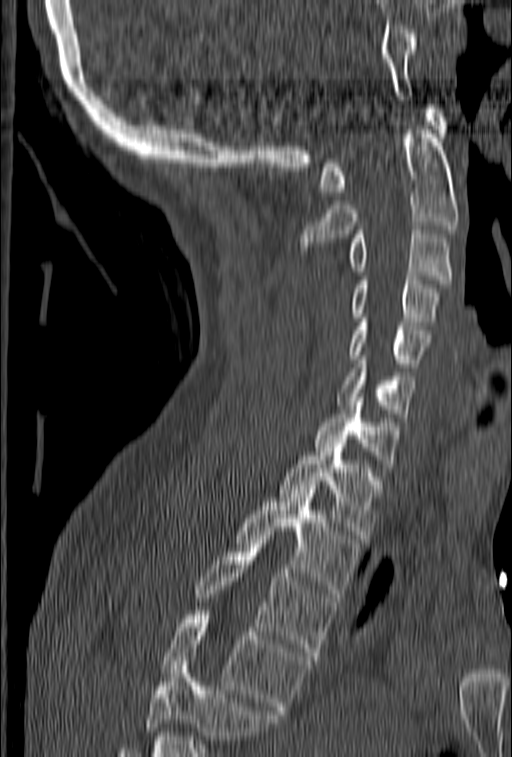
Spine CT · sagittal reformat · the image is 153 mm wide
No box is given to a vertebra that the bottom edge of the scan cuts off.
<vertebrae><v name="C1" x1="319" y1="105" x2="447" y2="196"/><v name="C2" x1="300" y1="125" x2="459" y2="246"/><v name="C3" x1="349" y1="226" x2="452" y2="283"/><v name="C4" x1="349" y1="276" x2="439" y2="325"/><v name="C5" x1="349" y1="314" x2="430" y2="371"/><v name="C6" x1="339" y1="356" x2="417" y2="417"/><v name="C7" x1="312" y1="393" x2="398" y2="463"/><v name="T1" x1="279" y1="448" x2="382" y2="539"/><v name="T2" x1="235" y1="489" x2="360" y2="597"/><v name="T3" x1="194" y1="540" x2="335" y2="660"/><v name="T4" x1="161" y1="611" x2="310" y2="714"/></vertebrae>